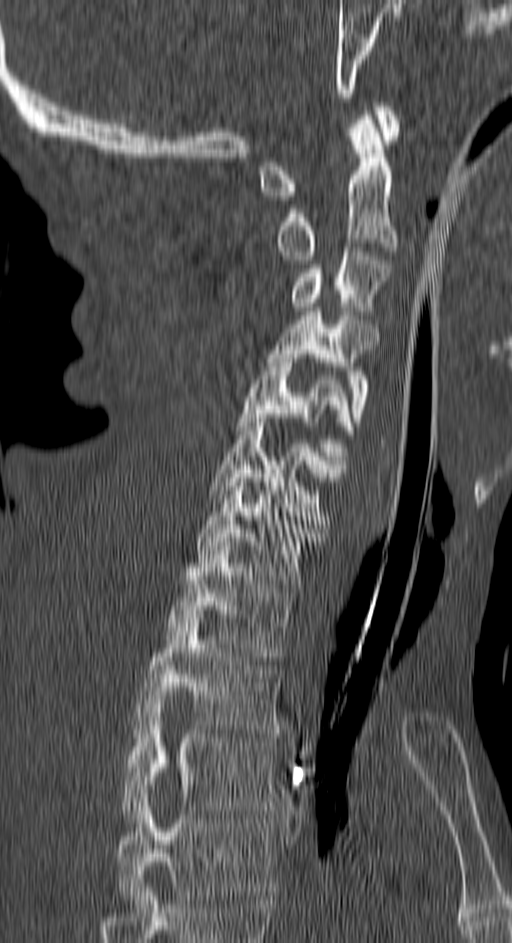

CT, spine — sagittal reformat — bone window

Box values are [left, top, right, bottom] in pixels.
This scan's labels start at C1 at the top and end at T4 at the bottom.
{"vertebrae":{"C1":[261,102,400,200],"C2":[278,115,396,264],"C3":[291,247,389,315],"C4":[267,307,376,421],"C5":[235,354,352,468],"C6":[209,418,342,524],"C7":[196,474,321,588],"T1":[165,546,294,660],"T2":[134,614,282,733],"T3":[121,700,277,822],"T4":[117,794,273,904]}}